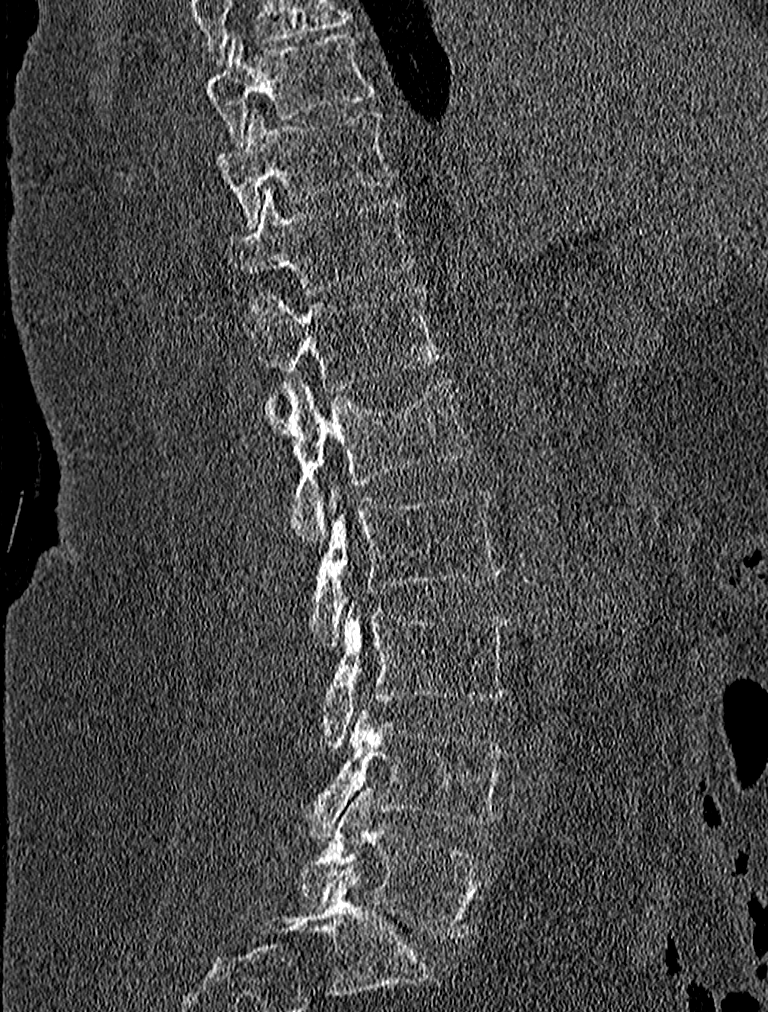

CT spine · sagittal view

Box edges are left/top/right/bottom in pixels.
| vertebra | x1 | y1 | x2 | y2 |
|---|---|---|---|---|
| T9 | 202 | 33 | 373 | 147 |
| T10 | 212 | 110 | 394 | 226 |
| T11 | 228 | 190 | 414 | 290 |
| T12 | 252 | 288 | 441 | 392 |
| L1 | 263 | 376 | 475 | 544 |
| L2 | 310 | 484 | 499 | 648 |
| L3 | 320 | 598 | 512 | 745 |
| L4 | 298 | 709 | 507 | 839 |
| L5 | 300 | 787 | 485 | 938 |